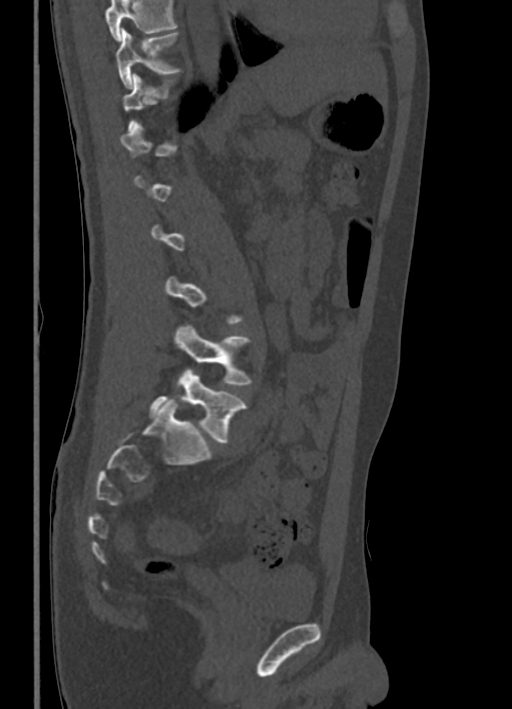 Spine computed tomography · sagittal reformat · W/L 1800/400 HU

Bounding boxes as [x1, y1, x2, y2] in pixel coordinates.
Not every vertebra on this slice has a box: a vertebra is boxed only from the first to the last slice where its cross-section is at least a third of its largest, and this slice is outside that range for at least one of them.
A vertebra cut off by the top edge of the scan is not labeled and has no box.
Vertebra bounding boxes:
- T10: [116, 29, 182, 89]
- L4: [175, 324, 252, 386]
- L5: [149, 368, 247, 444]